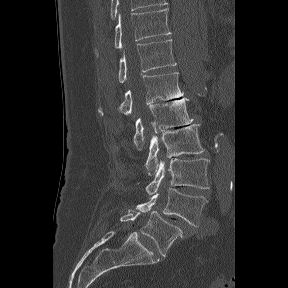 CT spine. sagittal view. 288 mm across the image

Coordinates as <box>x1,y1,x2,y2</box>.
The labels name a sixth lumbar vertebra for this spine: L6, after L5.
T11: <box>95,8,171,56</box>
T12: <box>118,39,176,82</box>
L1: <box>97,72,183,115</box>
L2: <box>133,98,192,150</box>
L3: <box>145,124,204,175</box>
L4: <box>146,158,209,194</box>
L5: <box>136,188,207,226</box>
L6: <box>120,209,187,256</box>